CT, spine. sagittal reformat. 400 mm across the image. bone window. 18 vertebrae labeled in this scan
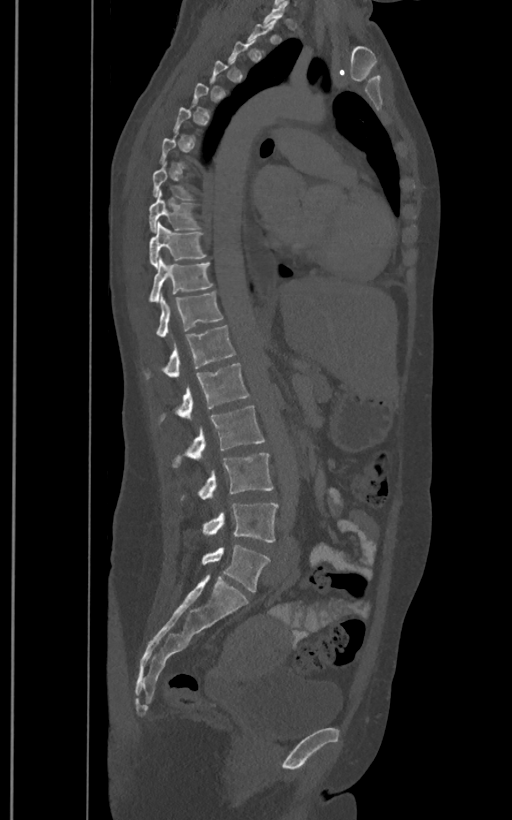 Not every vertebra on this slice has a box: a vertebra is boxed only from the first to the last slice where its cross-section is at least a third of its largest, and this slice is outside that range for at least one of them.
In these labels the spine has an L6, a sixth lumbar vertebra below L5.
<vertebrae><v name="T9" x1="148" y1="190" x2="199" y2="232"/><v name="T10" x1="150" y1="222" x2="206" y2="267"/><v name="T11" x1="150" y1="257" x2="213" y2="302"/><v name="T12" x1="156" y1="291" x2="223" y2="337"/><v name="L1" x1="147" y1="325" x2="236" y2="378"/><v name="L2" x1="160" y1="363" x2="248" y2="422"/><v name="L3" x1="173" y1="406" x2="265" y2="468"/><v name="L4" x1="198" y1="453" x2="273" y2="499"/><v name="L5" x1="202" y1="503" x2="278" y2="542"/><v name="L6" x1="202" y1="545" x2="270" y2="591"/></vertebrae>